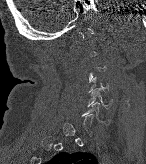 CT, spine · sagittal view · image 146 mm wide
Columns x1, y1, x2, y2 give each box's top-left and bottom-right pixels.
Each vertebra is boxed only on the slices from the first to the last where its cross-section reaches a third of its largest, so a slice outside that range leaves it unboxed.
| vertebra | x1 | y1 | x2 | y2 |
|---|---|---|---|---|
| C4 | 90 | 77 | 108 | 92 |
| C5 | 87 | 88 | 111 | 108 |
| C6 | 82 | 102 | 108 | 124 |